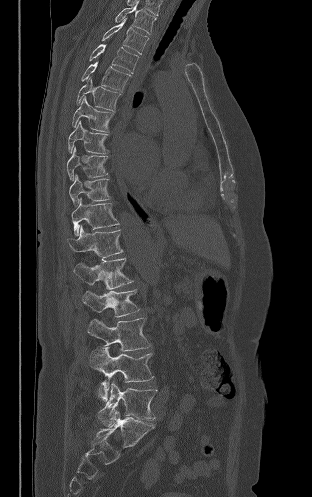
CT. image 312 mm wide. sagittal view. bone-window reconstruction

<vertebrae><v name="T2" x1="115" y1="1" x2="156" y2="33"/><v name="T3" x1="102" y1="18" x2="148" y2="54"/><v name="T4" x1="89" y1="44" x2="138" y2="73"/><v name="T5" x1="81" y1="61" x2="131" y2="92"/><v name="T6" x1="77" y1="77" x2="121" y2="112"/><v name="T7" x1="72" y1="96" x2="113" y2="132"/><v name="T8" x1="68" y1="121" x2="108" y2="153"/><v name="T9" x1="66" y1="146" x2="107" y2="180"/><v name="T10" x1="69" y1="174" x2="110" y2="204"/><v name="T11" x1="71" y1="198" x2="119" y2="235"/><v name="T12" x1="67" y1="226" x2="123" y2="259"/><v name="L1" x1="73" y1="258" x2="133" y2="289"/><v name="L2" x1="82" y1="289" x2="139" y2="317"/><v name="L3" x1="87" y1="318" x2="150" y2="351"/><v name="L4" x1="90" y1="346" x2="153" y2="400"/><v name="L5" x1="98" y1="381" x2="157" y2="426"/></vertebrae>